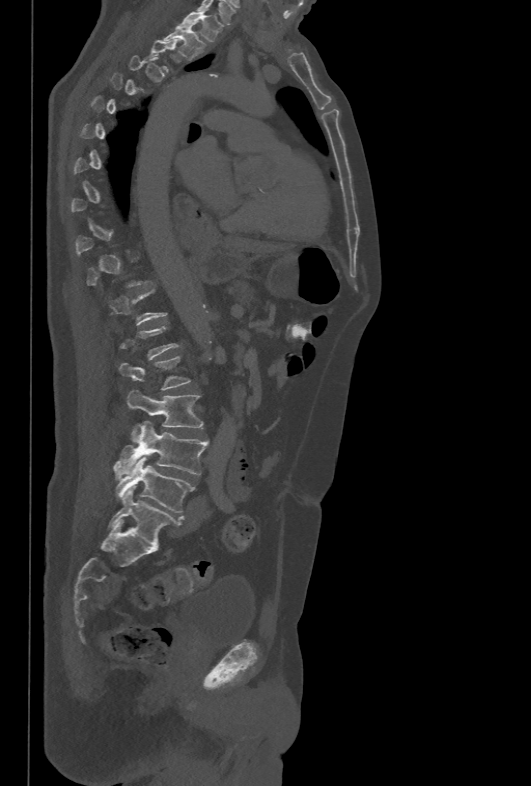 Computed tomography of the spine. sagittal view. W/L 1800/400 HU. image width 478 mm

Each vertebra is boxed only on the slices from the first to the last where its cross-section reaches a third of its largest, so a slice outside that range leaves it unboxed.
<vertebrae><v name="T1" x1="179" y1="10" x2="222" y2="42"/><v name="T2" x1="162" y1="27" x2="205" y2="59"/><v name="L2" x1="119" y1="356" x2="191" y2="389"/><v name="L3" x1="127" y1="389" x2="203" y2="442"/><v name="L4" x1="113" y1="420" x2="208" y2="475"/><v name="L5" x1="115" y1="456" x2="194" y2="513"/></vertebrae>